CT, spine — sagittal view — scan covers 8 annotated vertebrae
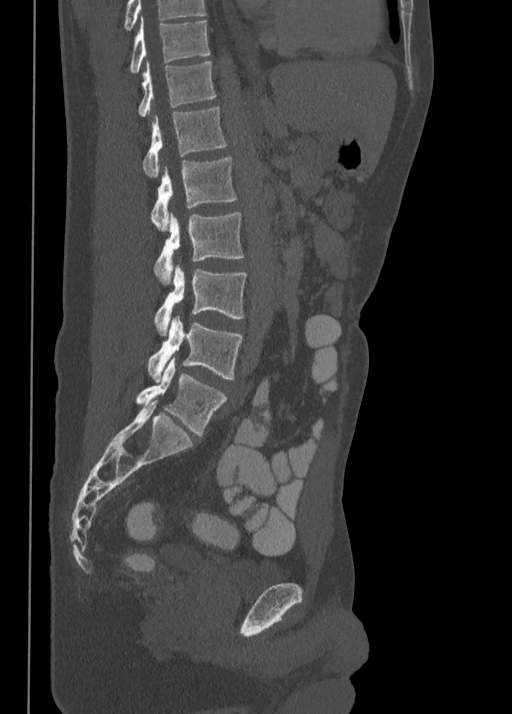
Boxes below are [x1, y1, x2, y2] in pixels.
The highest labeled vertebra in this scan is T10; the lowest is L5.
{"vertebrae":{"T10":[130,17,209,73],"T11":[139,61,215,117],"T12":[143,107,227,177],"L1":[150,157,237,231],"L2":[155,212,243,283],"L3":[155,267,246,335],"L4":[148,316,242,382],"L5":[136,359,227,435]}}